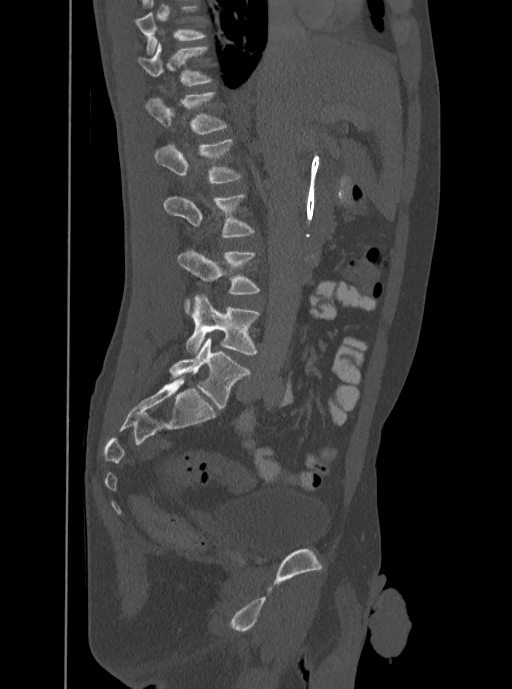
Spine computed tomography · sagittal reformat · 512x689 px. Box edges are left/top/right/bottom in pixels. Labels in this scan begin with T12 at the top and end with L5 at the bottom. The labeled vertebrae in this slice are: L5 at left=186, top=294, right=259, bottom=354, L4 at left=178, top=250, right=259, bottom=314, L3 at left=163, top=194, right=253, bottom=237, L2 at left=153, top=138, right=242, bottom=183, L1 at left=145, top=92, right=227, bottom=133, T12 at left=137, top=42, right=212, bottom=86.